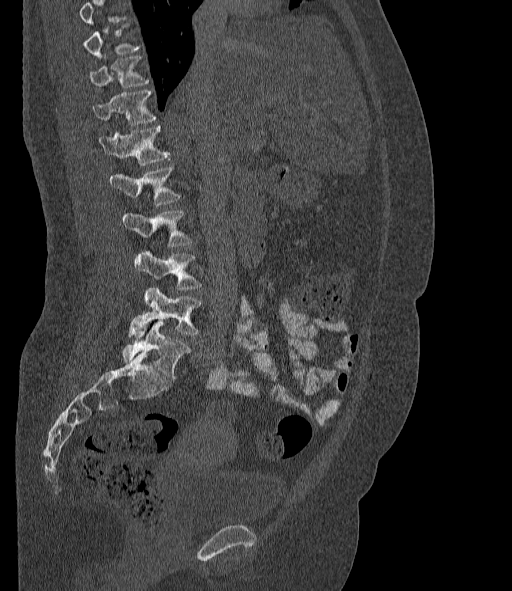 Computed tomography of the spine · sagittal reformat · the image is 377 mm wide · W/L 1800/400 HU. Boxes: x1 y1 x2 y2 (pixel coords, space-separated). Not every vertebra on this slice has a box: a vertebra is boxed only from the first to the last slice where its cross-section is at least a third of its largest, and this slice is outside that range for at least one of them. The labels name a sixth lumbar vertebra for this spine: L6, after L5. Vertebrae labeled: T11 at 89 56 148 87, T12 at 94 90 155 125, L1 at 99 126 170 165, L2 at 110 167 179 205, L3 at 122 211 192 246, L4 at 134 251 201 290, L5 at 129 288 201 339, L6 at 122 321 190 379.